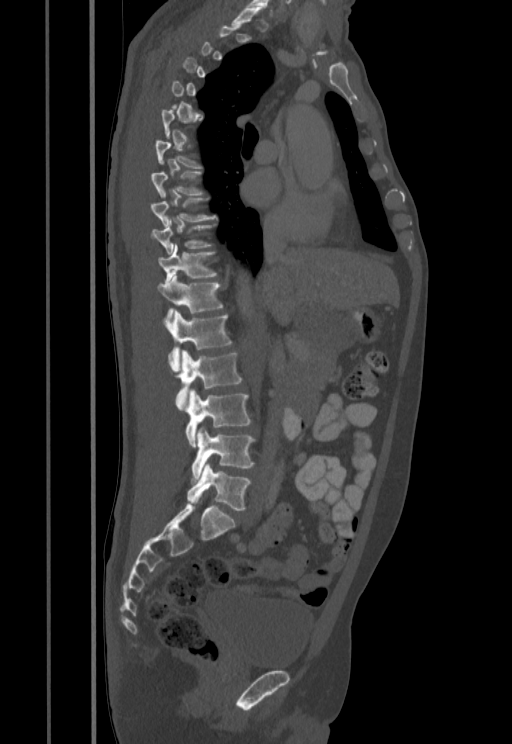 CT. sagittal view. bone window. 455 mm wide
A vertebra gets a box only on the slices from the first to the last where its cross-section is at least a third of its largest; on a slice outside that range it gets none.
<vertebrae><v name="T8" x1="151" y1="172" x2="203" y2="197"/><v name="T9" x1="151" y1="198" x2="216" y2="227"/><v name="T10" x1="151" y1="218" x2="215" y2="254"/><v name="T11" x1="157" y1="245" x2="216" y2="283"/><v name="T12" x1="157" y1="274" x2="223" y2="318"/><v name="L1" x1="163" y1="311" x2="232" y2="372"/><v name="L2" x1="175" y1="350" x2="242" y2="410"/><v name="L3" x1="186" y1="390" x2="251" y2="448"/><v name="L4" x1="191" y1="426" x2="254" y2="481"/><v name="L5" x1="187" y1="464" x2="250" y2="510"/></vertebrae>